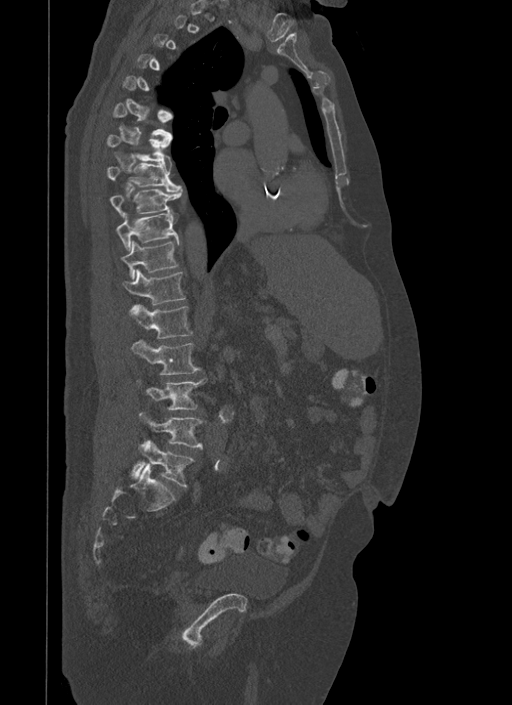

CT — sagittal reformat
A vertebra gets a box only on the slices from the first to the last where its cross-section is at least a third of its largest; on a slice outside that range it gets none.
<vertebrae><v name="T6" x1="113" y1="102" x2="172" y2="139"/><v name="T7" x1="106" y1="135" x2="171" y2="163"/><v name="T8" x1="106" y1="162" x2="181" y2="192"/><v name="T9" x1="109" y1="188" x2="182" y2="216"/><v name="T10" x1="116" y1="210" x2="179" y2="250"/><v name="T11" x1="120" y1="240" x2="178" y2="279"/><v name="T12" x1="122" y1="269" x2="186" y2="305"/><v name="L1" x1="127" y1="305" x2="192" y2="338"/><v name="L2" x1="132" y1="340" x2="201" y2="374"/><v name="L3" x1="140" y1="378" x2="207" y2="410"/><v name="L4" x1="140" y1="413" x2="202" y2="449"/><v name="L5" x1="132" y1="440" x2="194" y2="486"/></vertebrae>